Computed tomography of the spine; sagittal view
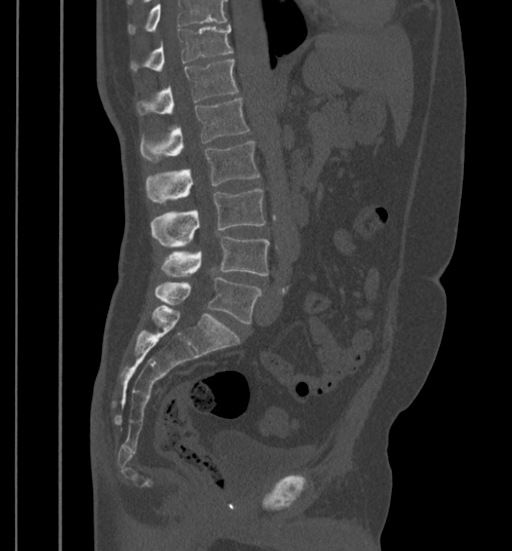

Boxes: x1:y1:x2:y2 in pixels. No box is given to a vertebra that the top edge of the scan cuts off. Vertebrae labeled: T11 at 131:24:232:71, T12 at 136:59:238:114, L1 at 140:99:249:161, L2 at 146:141:259:204, L3 at 150:188:266:247, L4 at 162:236:270:277, L5 at 155:277:261:323.